Computed tomography of the spine · Sagittal slice 197/391 · W/L 1800/400 HU · 17 vertebrae labeled in this scan · 391 mm wide
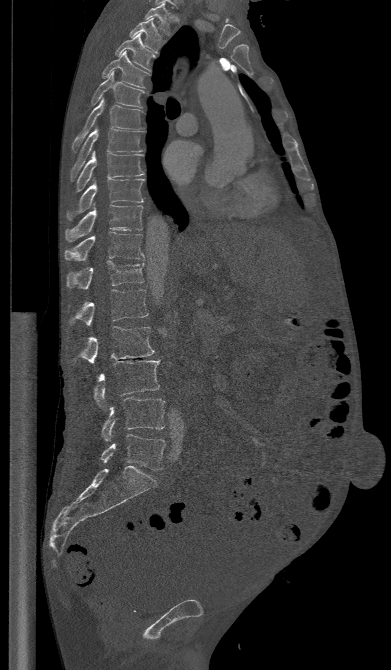
Boxes: x1:y1:x2:y2 in pixels.
L5: 100:434:165:470
L4: 102:398:165:441
L3: 93:360:159:408
L2: 68:326:154:365
L1: 68:289:148:326
T12: 66:260:143:289
T11: 64:231:143:260
T10: 65:204:143:242
T9: 66:178:144:220
T8: 75:151:143:192
T7: 70:127:144:181
T6: 72:97:145:153
T5: 91:71:144:107
T4: 102:51:150:88
T3: 115:33:155:70
T2: 129:18:163:53
T1: 144:3:171:35